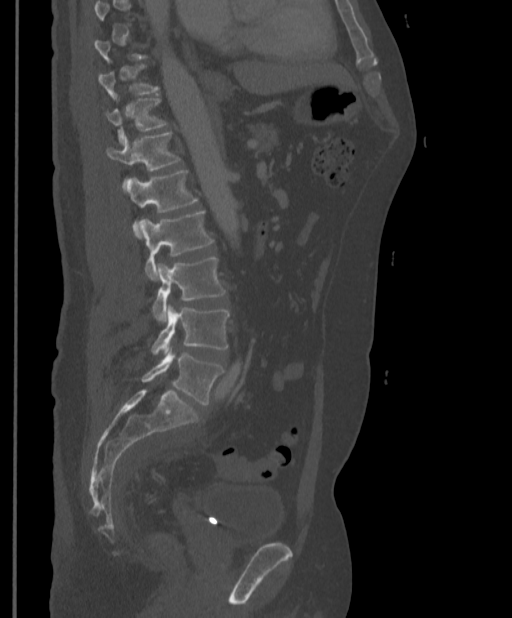

CT, spine — sagittal view — bone-window reconstruction — 512x618 px
Boxes: x1:y1:x2:y2 in pixels.
A vertebra gets a box only on the slices from the first to the last where its cross-section is at least a third of its largest; on a slice outside that range it gets none.
Vertebra bounding boxes:
- L5: 142:346:223:405
- L4: 152:304:228:355
- L3: 152:257:226:323
- L2: 138:212:213:280
- L1: 128:170:197:230
- T12: 107:132:179:191
- T11: 106:98:167:141
- T10: 98:64:157:97